Spine CT. sagittal view. Bone window (WL 400, WW 1800)
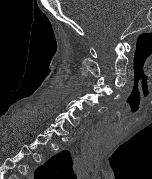
Bounding boxes as [x1, y1, x2, y2] in pixel coordinates.
Each vertebra is boxed only on the slices from the first to the last where its cross-section reaches a third of its largest, so a slice outside that range leaves it unboxed.
Vertebra bounding boxes:
- C1: [90, 42, 131, 57]
- C2: [80, 42, 128, 77]
- C3: [96, 75, 126, 87]
- C4: [93, 84, 120, 99]
- C5: [79, 93, 107, 112]
- C6: [65, 99, 94, 116]
- C7: [54, 107, 81, 126]
- T1: [43, 119, 69, 135]